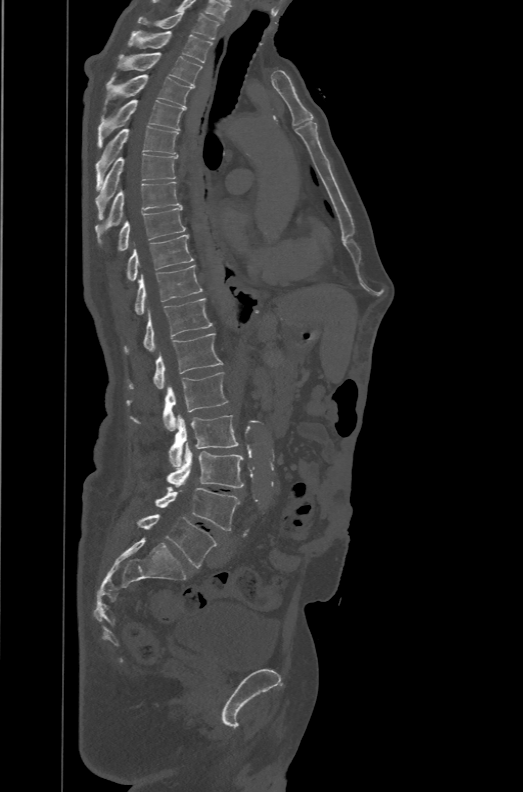
CT — sagittal view — the image spans 471 mm across — bone window
The labels name a sixth lumbar vertebra for this spine: L6, after L5.
<vertebrae><v name="T1" x1="137" y1="11" x2="219" y2="39"/><v name="T2" x1="128" y1="31" x2="213" y2="62"/><v name="T3" x1="117" y1="52" x2="202" y2="87"/><v name="T4" x1="101" y1="73" x2="193" y2="120"/><v name="T5" x1="97" y1="100" x2="184" y2="148"/><v name="T6" x1="95" y1="126" x2="178" y2="190"/><v name="T7" x1="95" y1="154" x2="178" y2="220"/><v name="T8" x1="94" y1="182" x2="183" y2="247"/><v name="T9" x1="118" y1="208" x2="186" y2="251"/><v name="T10" x1="127" y1="234" x2="193" y2="280"/><v name="T11" x1="134" y1="265" x2="202" y2="314"/><v name="T12" x1="125" y1="298" x2="213" y2="354"/><v name="L1" x1="128" y1="333" x2="222" y2="389"/><v name="L2" x1="127" y1="372" x2="228" y2="431"/><v name="L3" x1="169" y1="414" x2="239" y2="467"/><v name="L4" x1="167" y1="442" x2="243" y2="488"/><v name="L5" x1="155" y1="487" x2="239" y2="530"/><v name="L6" x1="138" y1="514" x2="217" y2="568"/></vertebrae>